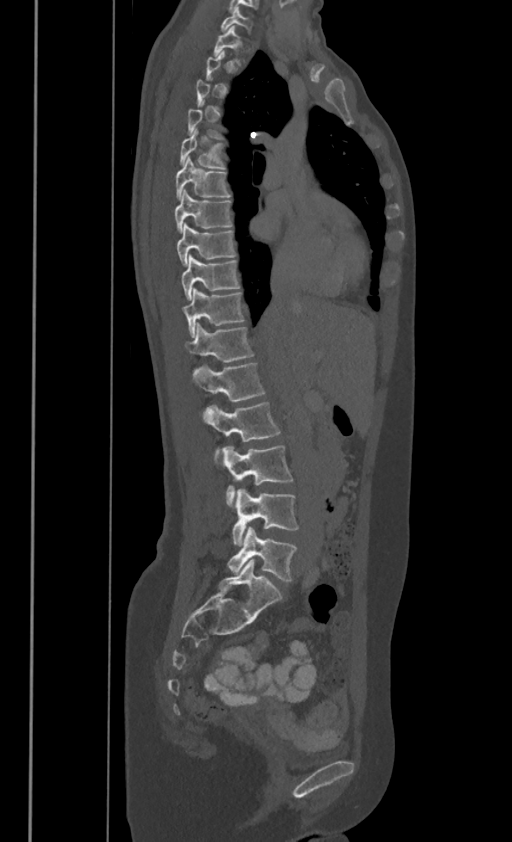 Computed tomography of the spine · sagittal reformat. Boxes: x1:y1:x2:y2 in pixels.
Each vertebra is boxed only on the slices from the first to the last where its cross-section reaches a third of its largest, so a slice outside that range leaves it unboxed.
These labels give this spine no T12: after T11 the next vertebra is L1.
C7: 221:6:251:30
T1: 213:25:240:54
T5: 180:128:223:167
T6: 176:156:230:197
T7: 175:190:231:231
T8: 176:222:235:264
T9: 182:254:239:299
T10: 183:288:243:336
T11: 186:322:254:361
L1: 192:362:264:400
L2: 204:401:280:456
L3: 221:445:292:504
L4: 232:489:297:545
L5: 228:528:296:580